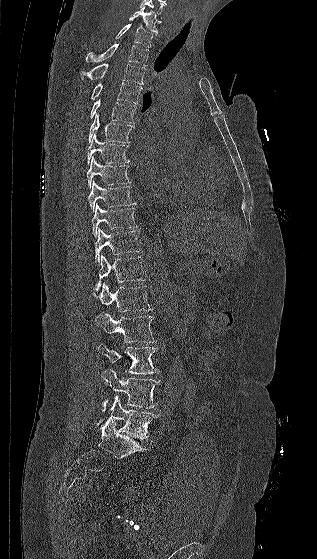
Spine CT; sagittal view; Bone window (WL 400, WW 1800). In the table, x1 and y1 are a box's top-left corner and x2 and y2 its bottom-right corner, in pixels.
| vertebra | x1 | y1 | x2 | y2 |
|---|---|---|---|---|
| L5 | 97 | 396 | 158 | 440 |
| L4 | 101 | 369 | 160 | 411 |
| L3 | 98 | 344 | 159 | 374 |
| L2 | 95 | 312 | 156 | 342 |
| L1 | 94 | 282 | 152 | 312 |
| T12 | 95 | 254 | 145 | 289 |
| T11 | 95 | 228 | 140 | 264 |
| T10 | 92 | 203 | 137 | 237 |
| T9 | 88 | 180 | 136 | 212 |
| T8 | 86 | 156 | 131 | 188 |
| T7 | 87 | 133 | 130 | 165 |
| T6 | 88 | 113 | 134 | 142 |
| T5 | 89 | 99 | 136 | 123 |
| T4 | 91 | 82 | 142 | 103 |
| T3 | 80 | 63 | 145 | 84 |
| T2 | 85 | 43 | 148 | 65 |
| T1 | 115 | 23 | 153 | 47 |
| C7 | 129 | 6 | 161 | 34 |